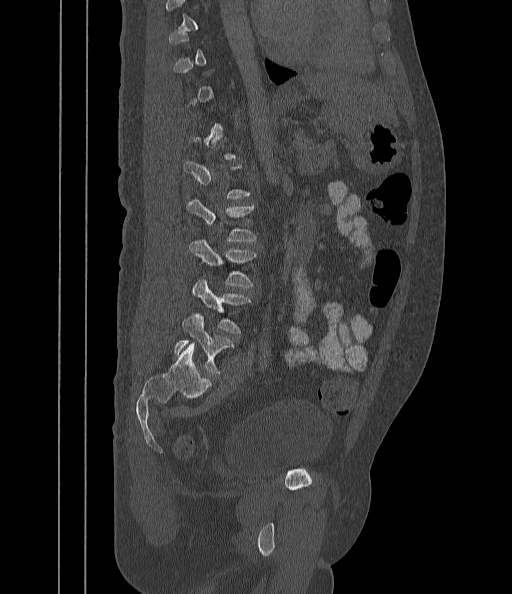 CT; sagittal view. Boxes: x1 y1 x2 y2 (pixel coords, space-separated). A vertebra gets a box only on the slices from the first to the last where its cross-section is at least a third of its largest; on a slice outside that range it gets none. The labeled vertebrae in this slice are: L5 at 174 313 234 374, L4 at 193 280 250 334, L3 at 190 238 257 287, L2 at 188 200 256 241.